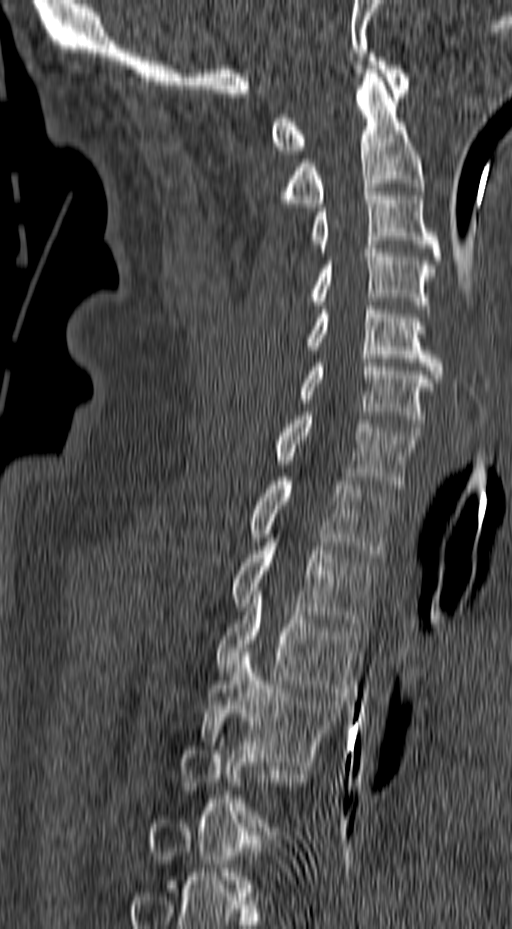 CT. sagittal view
Each vertebra is boxed only on the slices from the first to the last where its cross-section reaches a third of its largest, so a slice outside that range leaves it unboxed.
<vertebrae><v name="T4" x1="199" y1="652" x2="343" y2="765"/><v name="T3" x1="216" y1="591" x2="359" y2="696"/><v name="T2" x1="233" y1="534" x2="375" y2="627"/><v name="T1" x1="249" y1="477" x2="395" y2="557"/><v name="C7" x1="275" y1="412" x2="421" y2="488"/><v name="C6" x1="298" y1="359" x2="434" y2="431"/><v name="C5" x1="308" y1="306" x2="444" y2="378"/><v name="C4" x1="309" y1="245" x2="435" y2="309"/><v name="C3" x1="311" y1="188" x2="441" y2="260"/><v name="C2" x1="282" y1="65" x2="424" y2="207"/><v name="C1" x1="272" y1="53" x2="410" y2="154"/></vertebrae>